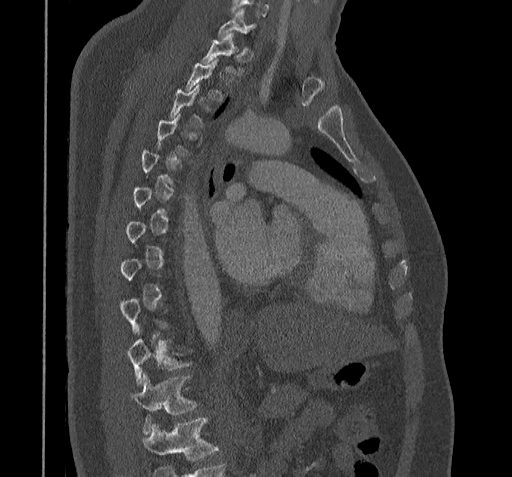

CT. image 322 mm wide. sagittal view. 512x477 px

Boxes are (x1, y1, x2, y2) in pixels.
Not every vertebra on this slice has a box: a vertebra is boxed only from the first to the last slice where its cross-section is at least a third of its largest, and this slice is outside that range for at least one of them.
Where the bottom of the scan cuts through a vertebra, that vertebra gets no label or box.
C7: (217, 9, 253, 38)
T10: (127, 338, 188, 384)
T11: (132, 374, 196, 433)